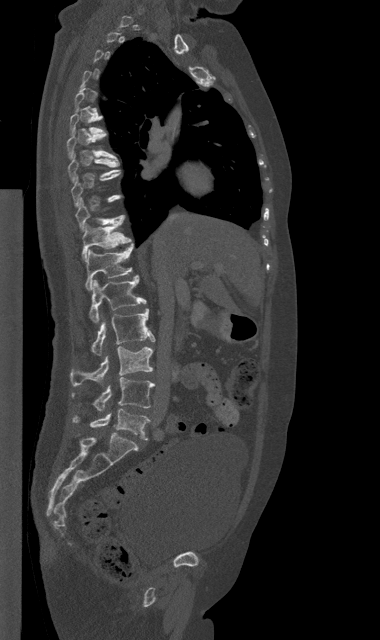 Computed tomography of the spine — sagittal reformat — 380x640 px
A vertebra gets a box only on the slices from the first to the last where its cross-section is at least a third of its largest; on a slice outside that range it gets none.
<vertebrae><v name="L5" x1="73" y1="409" x2="149" y2="439"/><v name="L4" x1="72" y1="377" x2="154" y2="411"/><v name="L3" x1="70" y1="346" x2="153" y2="385"/><v name="L2" x1="91" y1="309" x2="154" y2="355"/><v name="L1" x1="89" y1="275" x2="146" y2="323"/><v name="T12" x1="85" y1="243" x2="133" y2="290"/><v name="T11" x1="82" y1="220" x2="132" y2="260"/><v name="T10" x1="75" y1="198" x2="123" y2="230"/><v name="T8" x1="68" y1="153" x2="121" y2="182"/></vertebrae>